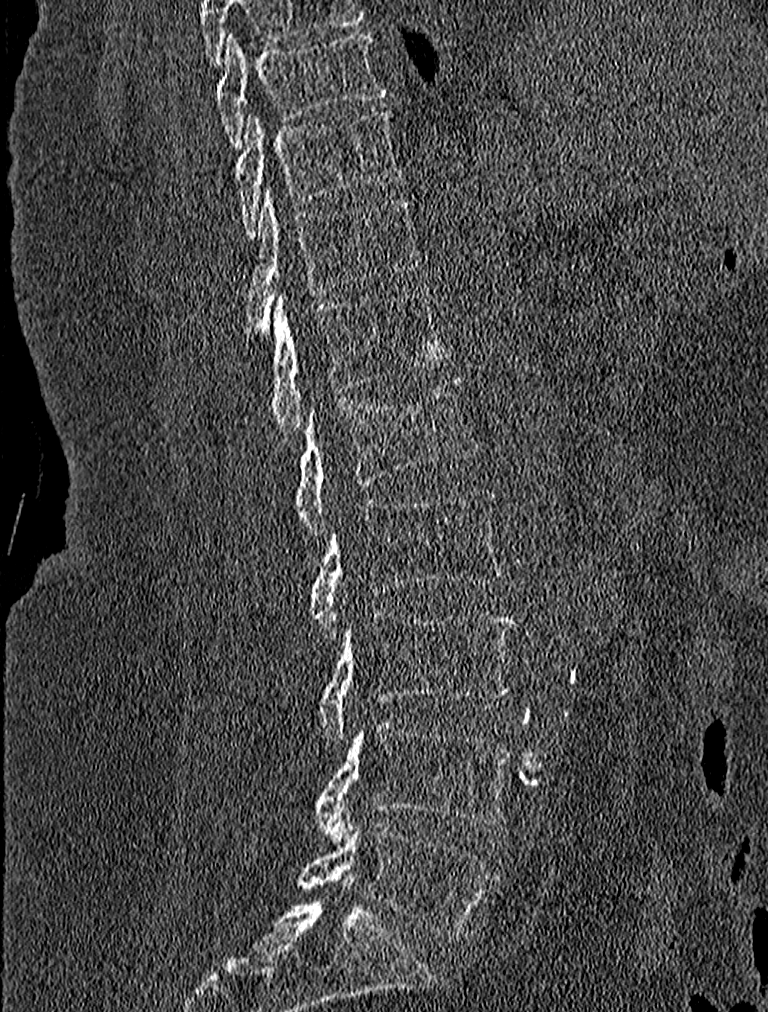
Spine CT. sagittal view. W/L 1800/400 HU. 227 mm image width
Each box given as x1,y1,x2,y2.
T9: x1=215, y1=30, x2=384, y2=148
T10: x1=236, y1=108, x2=400, y2=237
T11: x1=246, y1=187, x2=417, y2=334
T12: x1=252, y1=288, x2=451, y2=441
L1: x1=297, y1=376, x2=478, y2=539
L2: x1=310, y1=487, x2=505, y2=637
L3: x1=317, y1=611, x2=515, y2=742
L4: x1=313, y1=719, x2=513, y2=839
L5: x1=297, y1=821, x2=495, y2=941